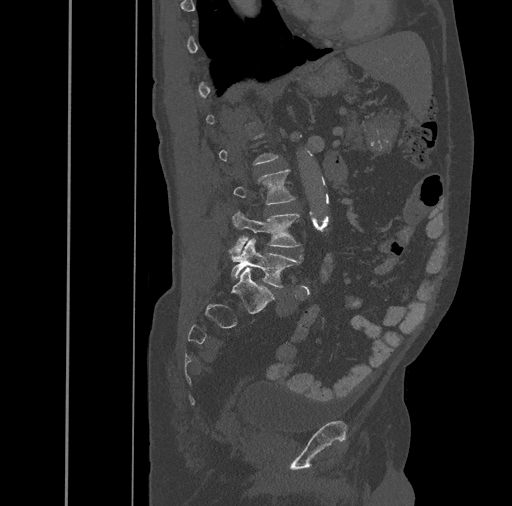
Spine CT. 461 mm image width. sagittal view

Bounding boxes as [x1, y1, x2, y2] in pixel coordinates.
A vertebra gets a box only on the slices from the first to the last where its cross-section is at least a third of its largest; on a slice outside that range it gets none.
Vertebra bounding boxes:
- L3: [233, 169, 295, 204]
- L4: [229, 211, 303, 253]
- L5: [231, 238, 302, 287]